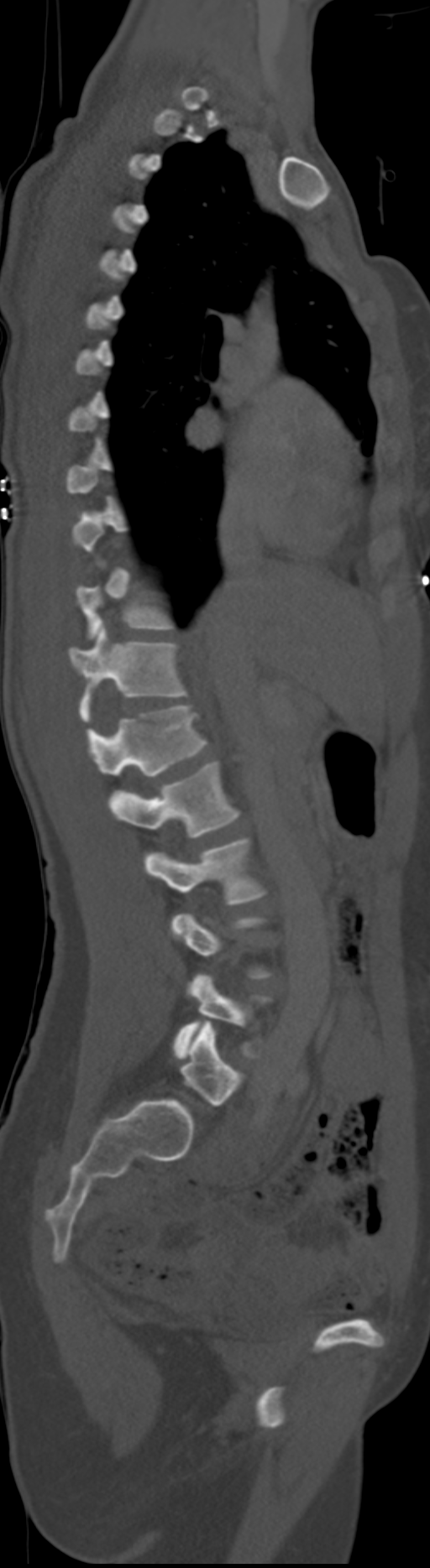

Spine CT · the image spans 192 mm across · sagittal reformat · 430x1568 px

Each vertebra maps to its box as [x1, y1, x2, y2], the pixel coordinates of its top-left and bottom-right corners.
A vertebra gets a box only on the slices from the first to the last where its cross-section is at least a third of its largest; on a slice outside that range it gets none.
These labels give the spine a sixth lumbar vertebra, L6, below L5. These labels give this spine no T12: after T11 the next vertebra is L1.
{"vertebrae":{"L6":[180,1021,242,1105],"L5":[173,974,271,1058],"L3":[144,837,266,904],"L2":[108,759,239,836],"L1":[87,706,206,776],"T11":[68,627,188,720],"T10":[76,586,172,638]}}